CT spine. 180 mm image width. sagittal reformat. 512x789 px. 14 vertebrae labeled in this scan
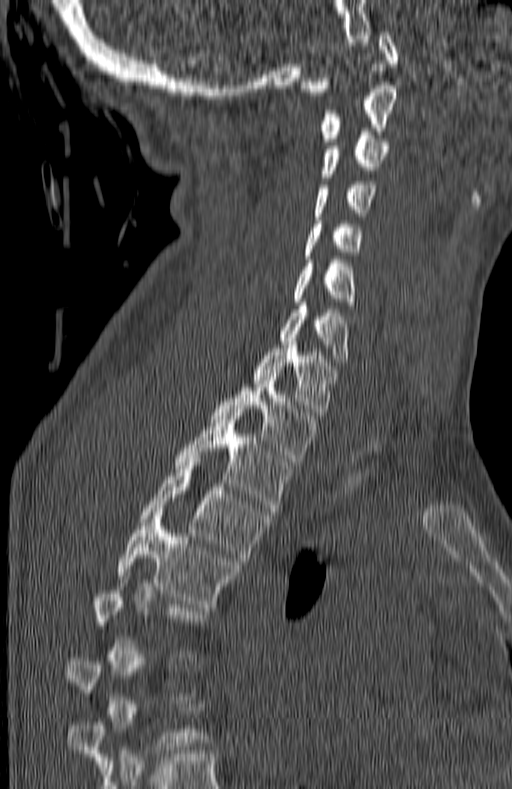 Box edges are left/top/right/bottom in pixels.
A vertebra gets a box only on the slices from the first to the last where its cross-section is at least a third of its largest; on a slice outside that range it gets none.
Vertebra bounding boxes:
- T5: left=117, top=512, right=239, bottom=607
- T4: left=140, top=459, right=270, bottom=561
- T3: left=174, top=412, right=293, bottom=511
- T2: left=211, top=377, right=316, bottom=461
- T1: left=254, top=341, right=338, bottom=419
- C7: left=280, top=302, right=347, bottom=365
- C6: left=294, top=260, right=355, bottom=308
- C5: left=305, top=220, right=361, bottom=259
- C4: left=314, top=181, right=376, bottom=219
- C3: left=321, top=132, right=387, bottom=177
- C2: left=319, top=85, right=395, bottom=141
- C1: left=300, top=32, right=398, bottom=95